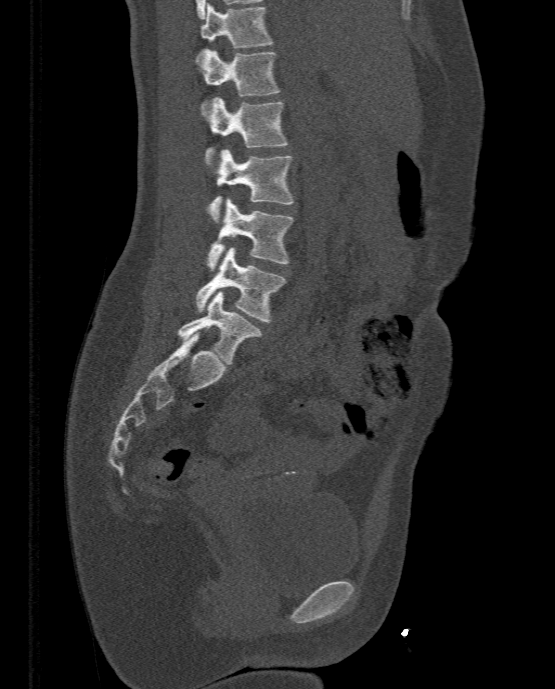 Computed tomography of the spine — sagittal view — W/L 1800/400 HU — the image spans 333 mm across. Box edges are left/top/right/bottom in pixels.
L5: left=178, top=290, right=260, bottom=364
L4: left=195, top=247, right=285, bottom=321
L3: left=207, top=198, right=294, bottom=271
L2: left=208, top=148, right=294, bottom=222
L1: left=203, top=97, right=288, bottom=164
T12: left=202, top=49, right=281, bottom=104
T11: left=195, top=3, right=272, bottom=61